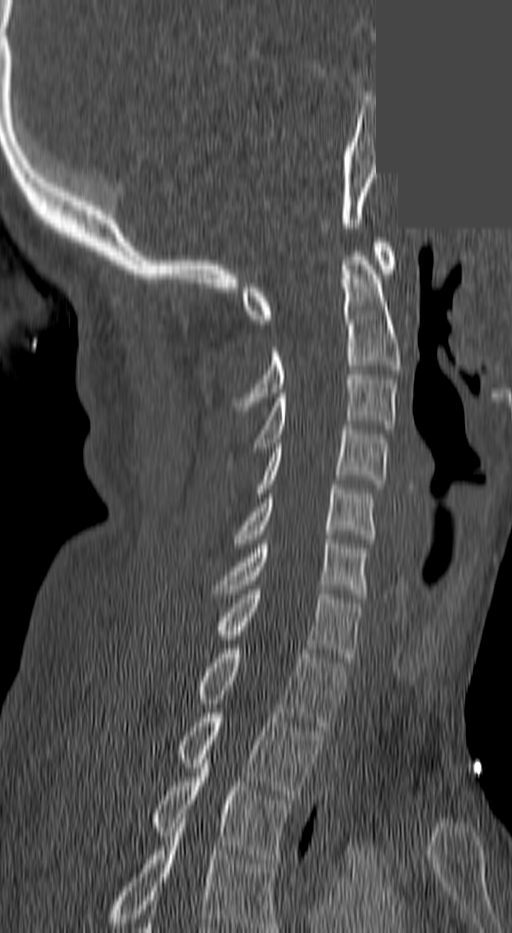

Spine computed tomography. sagittal view. W/L 1800/400 HU. 512x933 px. a region of this slice is masked with a uniform fill
Each box is [x1, y1, x2, y2] in pixels: top-left corner, then bottom-right corner.
This scan's labels start at C1 at the top and end at T3 at the bottom.
{"vertebrae":{"C1":[243,242,395,324],"C2":[235,256,399,406],"C3":[253,375,395,452],"C4":[257,425,388,493],"C5":[235,485,373,543],"C6":[213,539,366,598],"C7":[217,590,362,662],"T1":[195,649,344,730],"T2":[177,713,322,799],"T3":[151,763,289,863]}}